Computed tomography of the spine · sagittal plane, index 88 · bone-window reconstruction · 9 vertebrae labeled in this scan · some of the image was removed or blocked out with constant pixels
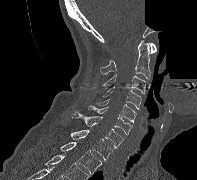

Each box is [x1, y1, x2, y2] in pixels: top-left corner, then bottom-right corner.
{"vertebrae":{"C1":[148,43,156,53],"C2":[100,39,150,79],"C3":[101,74,146,93],"C4":[102,86,141,109],"C5":[96,99,136,122],"C6":[88,105,132,134],"C7":[71,111,123,148],"T1":[70,130,112,160],"T2":[60,142,101,174]}}